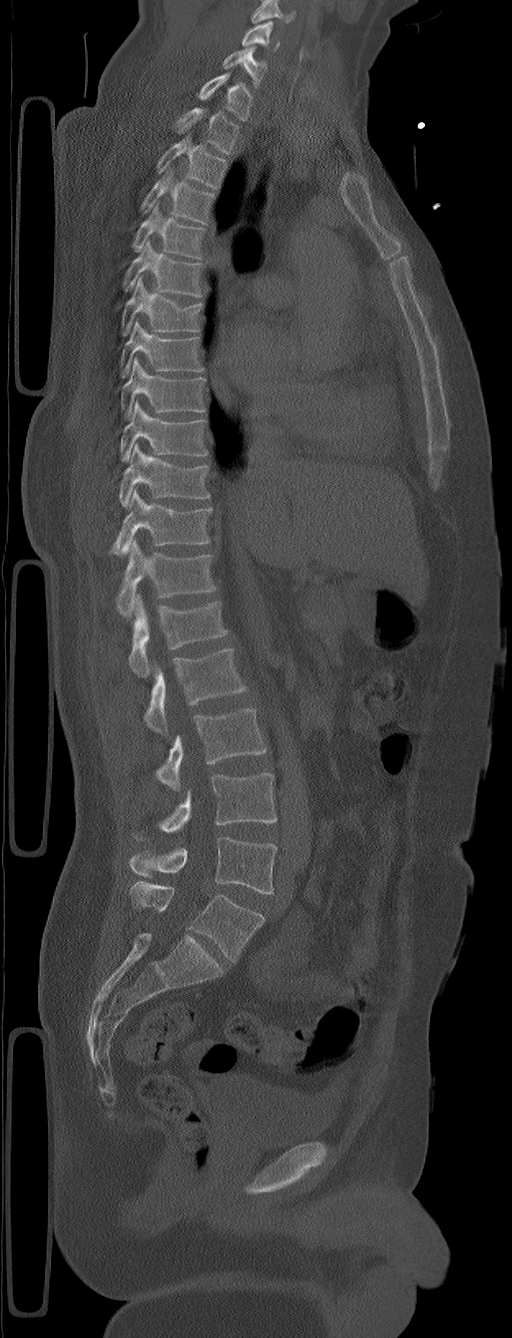

CT spine — sagittal view
In the table, x1 and y1 are a box's top-left corner and x2 and y2 its bottom-right corner, in pixels.
In this scan, the topmost labeled vertebra is C5 and the lowest is L6.
These labels give the spine a sixth lumbar vertebra, L6, below L5.
| vertebra | x1 | y1 | x2 | y2 |
|---|---|---|---|---|
| L6 | 130 | 882 | 265 | 961 |
| L5 | 130 | 836 | 276 | 894 |
| L4 | 133 | 773 | 276 | 840 |
| L3 | 156 | 709 | 266 | 792 |
| L2 | 145 | 648 | 246 | 736 |
| L1 | 128 | 595 | 228 | 678 |
| T12 | 116 | 539 | 216 | 615 |
| T11 | 108 | 489 | 211 | 554 |
| T10 | 118 | 443 | 209 | 509 |
| T9 | 120 | 401 | 207 | 462 |
| T8 | 121 | 358 | 206 | 420 |
| T7 | 120 | 321 | 204 | 378 |
| T6 | 121 | 275 | 202 | 335 |
| T5 | 123 | 240 | 202 | 297 |
| T4 | 131 | 202 | 206 | 258 |
| T3 | 141 | 170 | 214 | 224 |
| T2 | 156 | 133 | 228 | 189 |
| T1 | 173 | 108 | 239 | 154 |
| C7 | 198 | 72 | 253 | 120 |
| C6 | 222 | 46 | 266 | 88 |
| C5 | 242 | 20 | 279 | 51 |